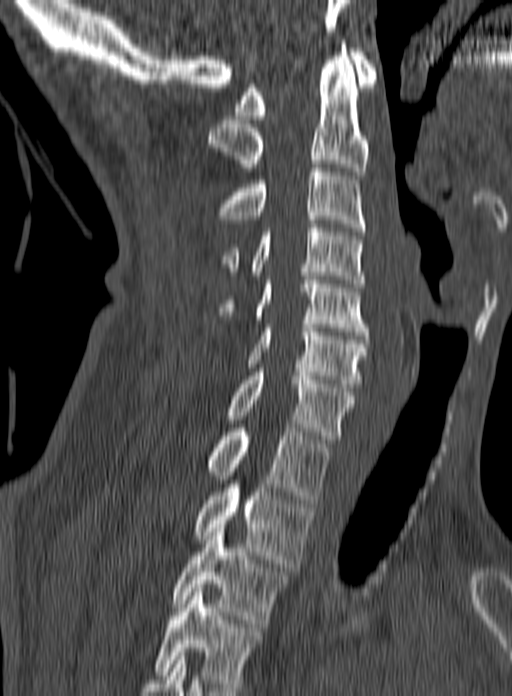
CT spine. sagittal reformat. bone window. 160 mm across the image. In the table, x1 and y1 are a box's top-left corner and x2 and y2 its bottom-right corner, in pixels.
In this scan, the topmost labeled vertebra is C1 and the lowest is T3.
| vertebra | x1 | y1 | x2 | y2 |
|---|---|---|---|---|
| T3 | 171 | 524 | 288 | 627 |
| T2 | 193 | 480 | 314 | 567 |
| T1 | 206 | 428 | 331 | 503 |
| C7 | 225 | 368 | 355 | 443 |
| C6 | 247 | 324 | 369 | 387 |
| C5 | 218 | 272 | 368 | 335 |
| C4 | 221 | 224 | 365 | 287 |
| C3 | 217 | 164 | 365 | 231 |
| C2 | 207 | 44 | 369 | 175 |
| C1 | 234 | 48 | 377 | 119 |